Computed tomography of the spine; 345 mm wide; sagittal view; 512x651 px
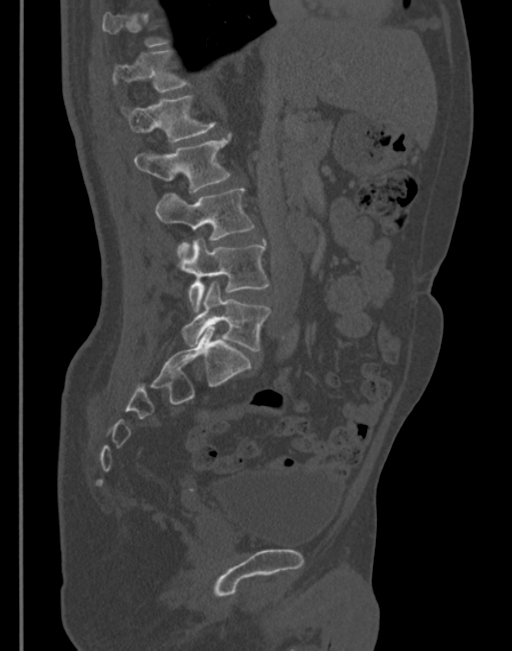

Box edges are left/top/right/bottom in pixels.
Not every vertebra on this slice has a box: a vertebra is boxed only from the first to the last slice where its cross-section is at least a third of its largest, and this slice is outside that range for at least one of them.
Vertebra bounding boxes:
- T12: left=113, top=51, right=187, bottom=92
- L1: left=126, top=96, right=214, bottom=143
- L2: left=133, top=134, right=230, bottom=193
- L3: left=156, top=188, right=254, bottom=258
- L4: left=181, top=239, right=269, bottom=311
- L5: left=182, top=281, right=270, bottom=352